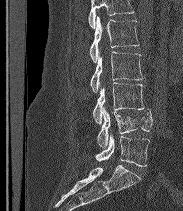 CT · sagittal reformat · W/L 1800/400 HU · 183 mm image width
Where the top of the scan cuts through a vertebra, that vertebra gets no label or box.
The labels name a sixth lumbar vertebra for this spine: L6, after L5.
<vertebrae><v name="L2" x1="89" y1="16" x2="139" y2="62"/><v name="L3" x1="90" y1="51" x2="143" y2="92"/><v name="L4" x1="93" y1="82" x2="144" y2="124"/><v name="L5" x1="97" y1="107" x2="152" y2="147"/><v name="L6" x1="95" y1="133" x2="149" y2="166"/></vertebrae>